Computed tomography of the spine. 461 mm wide. sagittal plane, index 247. bone window. scan covers 17 annotated vertebrae
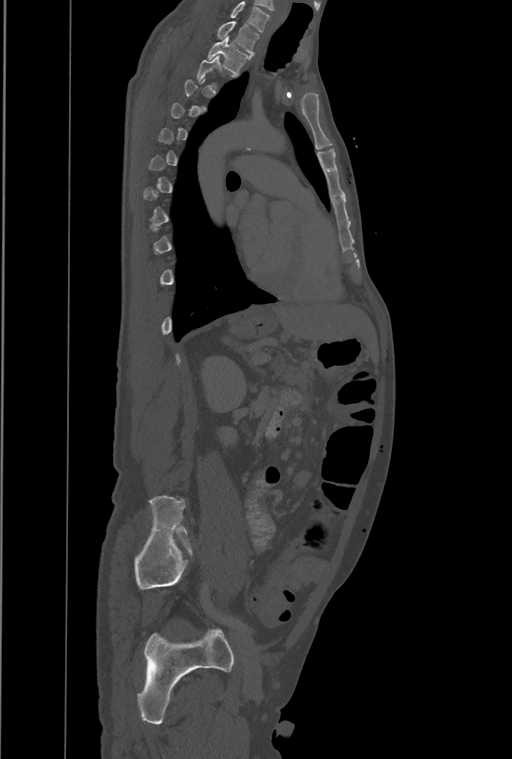
Each box given as x1,y1,x2,y2. A vertebra gets a box only on the slices from the first to the last where its cross-section is at least a third of its largest; on a slice outside that range it gets none. The highest labeled vertebra in this scan is T1; the lowest is L4. Vertebrae labeled: T2 at x1=207, y1=37, x2=252, y2=75, T1 at x1=217, y1=21, x2=259, y2=55.